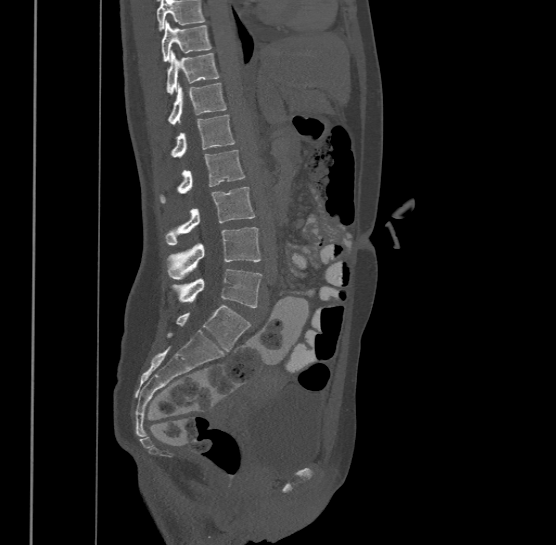

CT spine — sagittal view — W/L 1800/400 HU

Bounding boxes as [x1, y1, x2, y2] in pixel coordinates.
Where the top of the scan cuts through a vertebra, that vertebra gets no label or box.
This scan's labels start at T9 at the top and end at L4 at the bottom.
Vertebra bounding boxes:
- T9: [161, 20, 212, 61]
- T10: [166, 50, 219, 93]
- T11: [168, 81, 226, 124]
- T12: [171, 114, 234, 156]
- L1: [160, 150, 244, 201]
- L2: [166, 186, 255, 243]
- L3: [168, 227, 261, 278]
- L4: [174, 268, 263, 307]